CT, spine · sagittal plane, index 152 · W/L 1800/400 HU
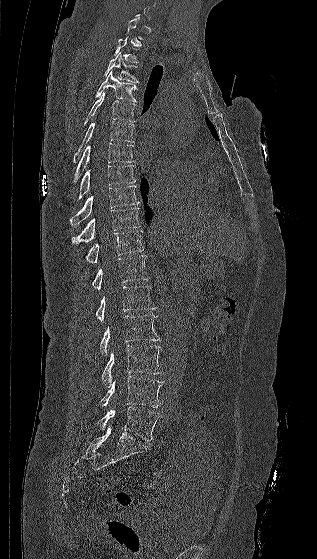

Coordinates as <box>x1,y1,x2,y2</box>. Each vertebra is boxed only on the slices from the first to the last where its cross-section reaches a third of its largest, so a slice outside that range leaves it unboxed. Vertebrae labeled: T2 at <box>113,36,138,62</box>, T3 at <box>103,52,138,82</box>, T4 at <box>95,71,136,102</box>, T5 at <box>83,92,135,124</box>, T6 at <box>73,121,133,162</box>, T7 at <box>73,142,134,183</box>, T8 at <box>78,165,135,200</box>, T9 at <box>70,185,139,226</box>, T10 at <box>72,208,140,245</box>, T11 at <box>85,231,143,263</box>, T12 at <box>92,255,149,290</box>, L1 at <box>95,285,156,321</box>, L2 at <box>100,314,161,355</box>, L3 at <box>101,345,162,387</box>, L4 at <box>100,376,163,407</box>, L5 at <box>98,407,160,441</box>.